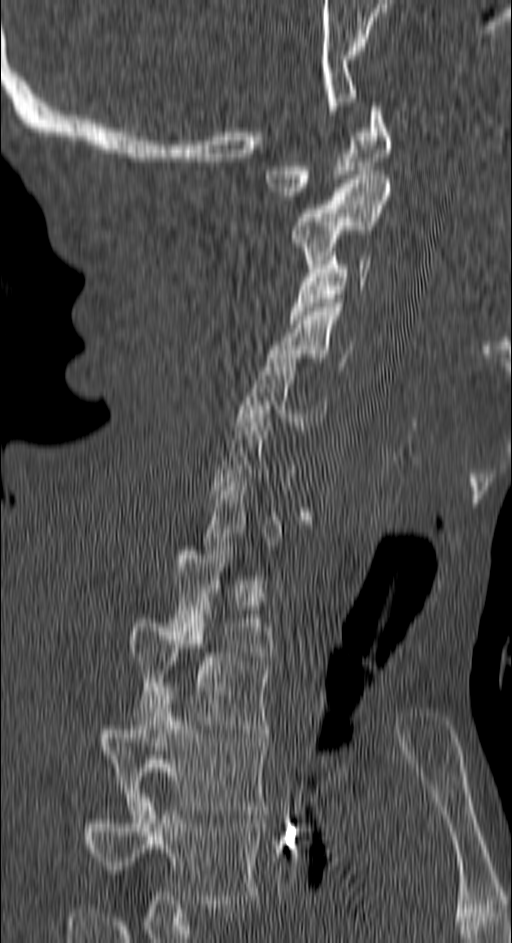

CT spine. sagittal view. Bone window (WL 400, WW 1800)
Coordinates as <box>x1,y1,x2,y2</box>.
A vertebra gets a box only on the slices from the first to the last where its cross-section is at least a third of its largest; on a slice outside that range it gets none.
Vertebra bounding boxes:
- C1: <box>264,102,393,200</box>
- C2: <box>291,175,389,268</box>
- C3: <box>291,252,369,319</box>
- C4: <box>267,303,352,366</box>
- C5: <box>235,354,326,430</box>
- C7: <box>203,469,280,554</box>
- T1: <box>172,546,272,660</box>
- T2: <box>128,614,270,733</box>
- T3: <box>97,691,266,814</box>
- T4: <box>80,794,260,908</box>